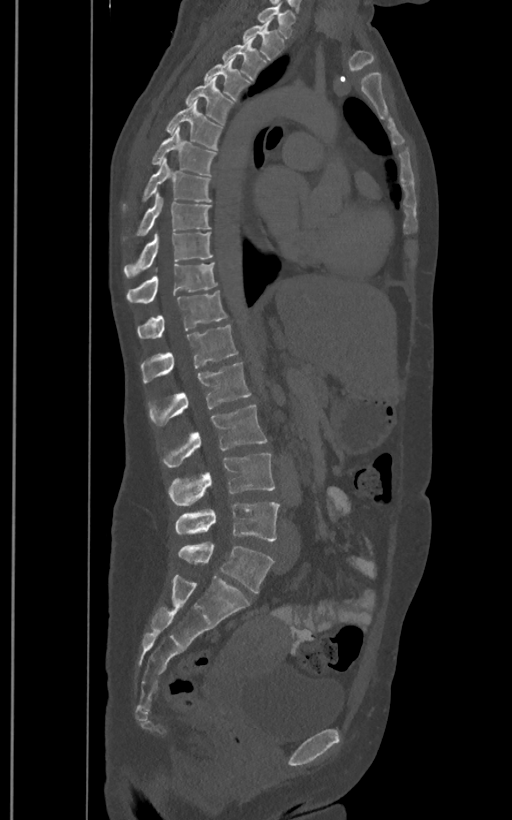
CT, spine. sagittal view

Coordinates as <box>x1,y1,x2,y2</box>.
These labels give the spine a sixth lumbar vertebra, L6, below L5.
Vertebra bounding boxes:
- T1: <box>257,5,295,37</box>
- T2: <box>243,18,283,59</box>
- T3: <box>223,38,265,80</box>
- T4: <box>203,56,250,100</box>
- T5: <box>185,77,233,123</box>
- T6: <box>166,100,222,149</box>
- T7: <box>152,127,215,175</box>
- T8: <box>143,158,211,201</box>
- T9: <box>137,192,210,235</box>
- T10: <box>124,230,213,277</box>
- T11: <box>127,263,216,302</box>
- T12: <box>137,290,227,338</box>
- L1: <box>141,325,237,383</box>
- L2: <box>148,362,251,426</box>
- L3: <box>162,404,268,468</box>
- L4: <box>168,453,275,506</box>
- L5: <box>175,501,279,540</box>
- L6: <box>178,543,274,592</box>